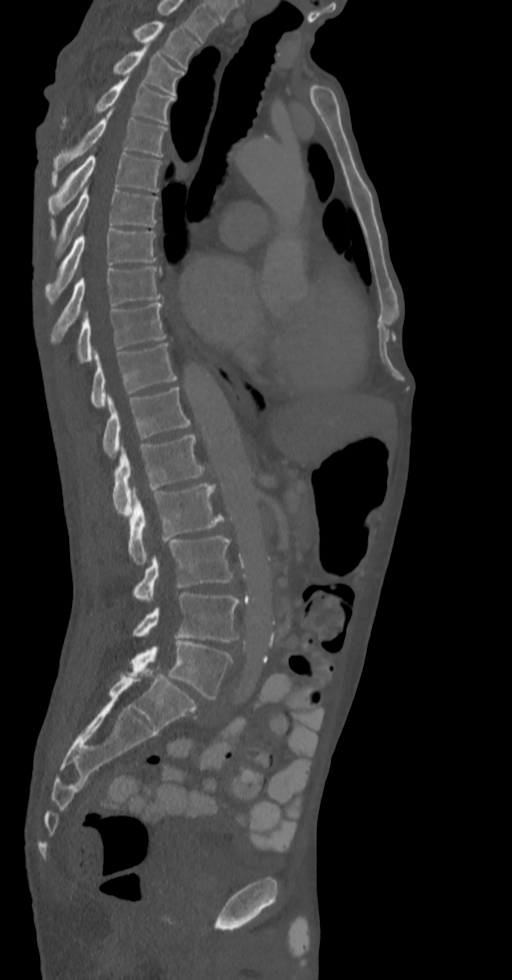
Spine computed tomography — sagittal reformat — 512x980 px
Each vertebra maps to its box as [x1, y1, x2, y2], the pixel coordinates of its top-left and bottom-right corners.
This scan's labels start at T2 at the top and end at L5 at the bottom.
{"vertebrae":{"L5":[128,640,232,698],"L4":[132,593,239,642],"L3":[134,535,232,602],"L2":[128,483,224,564],"L1":[112,434,209,517],"T12":[102,387,189,458],"T11":[91,343,177,407],"T10":[77,302,166,362],"T9":[52,267,160,342],"T8":[45,229,156,304],"T7":[50,186,157,258],"T6":[48,152,162,217],"T5":[52,111,166,173],"T4":[61,78,175,138],"T3":[112,47,183,95],"T2":[132,21,200,69]}}